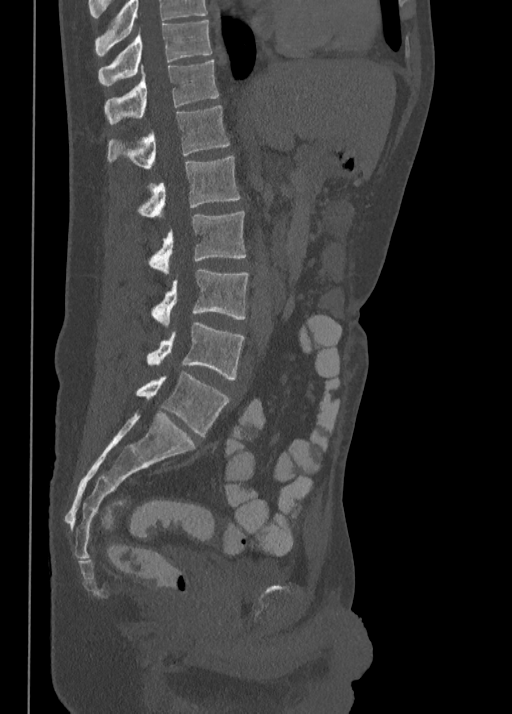

Spine CT · sagittal view · 350 mm wide
Boxes: x1:y1:x2:y2 in pixels.
Labels in this scan begin with T10 at the top and end with L5 at the bottom.
Vertebra bounding boxes:
- L5: 136:371:230:436
- L4: 146:321:245:379
- L3: 152:269:249:327
- L2: 149:211:246:274
- L1: 139:157:240:216
- T12: 107:105:230:169
- T11: 104:59:218:124
- T10: 98:20:212:85